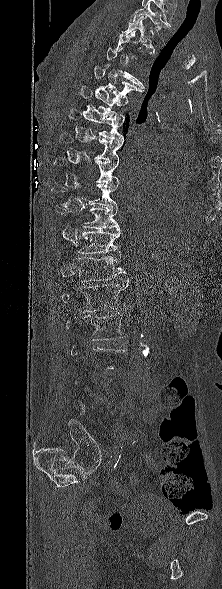

CT spine — sagittal view — 222x589 px — 222 mm wide
Each box given as x1,y1,x2,y2. Each vertebra is boxed only on the slices from the first to the last where its cross-section reaches a third of its largest, so a slice outside that range leaves it unboxed. Labels in this scan begin with T1 at the top and end with L5 at the bottom. 13 vertebrae labeled — T1 at x1=121, y1=16, x2=154, y2=53; T3 at x1=104, y1=47, x2=145, y2=89; T4 at x1=93, y1=65, x2=141, y2=98; T5 at x1=79, y1=85, x2=128, y2=116; T6 at x1=67, y1=108, x2=124, y2=141; T7 at x1=60, y1=132, x2=123, y2=161; T8 at x1=54, y1=157, x2=118, y2=184; T9 at x1=51, y1=183, x2=118, y2=207; T10 at x1=56, y1=207, x2=119, y2=230; T11 at x1=77, y1=229, x2=121, y2=255; T12 at x1=76, y1=256, x2=125, y2=282; L1 at x1=62, y1=279, x2=128, y2=312; L2 at x1=66, y1=313, x2=125, y2=340.